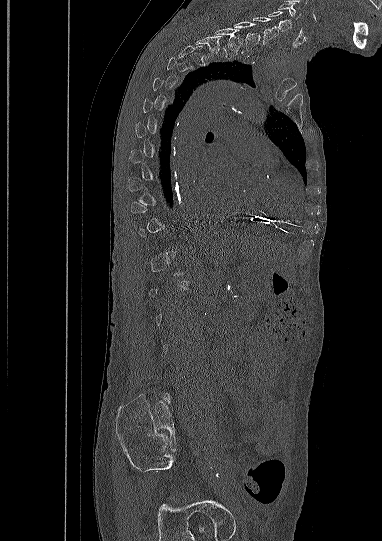
CT spine; sagittal view; 382 mm image width
Each box given as x1,y1,x2,y2.
Each vertebra is boxed only on the slices from the first to the last where its cross-section reaches a third of its largest, so a slice outside that range leaves it unboxed.
The highest labeled vertebra in this scan is C5; the lowest is L5.
C5: x1=267, y1=11, x2=291, y2=31
C6: x1=252, y1=17, x2=278, y2=44
C7: x1=233, y1=22, x2=260, y2=50
T1: x1=213, y1=27, x2=243, y2=57
T2: x1=195, y1=36, x2=222, y2=60